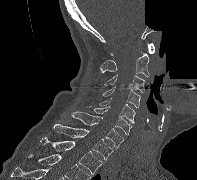

Spine computed tomography. sagittal view. the image spans 197 mm across. W/L 1800/400 HU. 197x180 px. some of the image was removed or blocked out with constant pixels
Boxes: x1 y1 x2 y2 (pixel coords, space-separated).
Vertebra bounding boxes:
- T2: 40 137 102 174
- T1: 53 124 113 160
- C7: 71 111 123 148
- C6: 89 106 131 134
- C5: 99 98 135 123
- C4: 102 86 140 108
- C3: 102 74 145 92
- C2: 100 51 149 77
- C1: 110 43 154 55